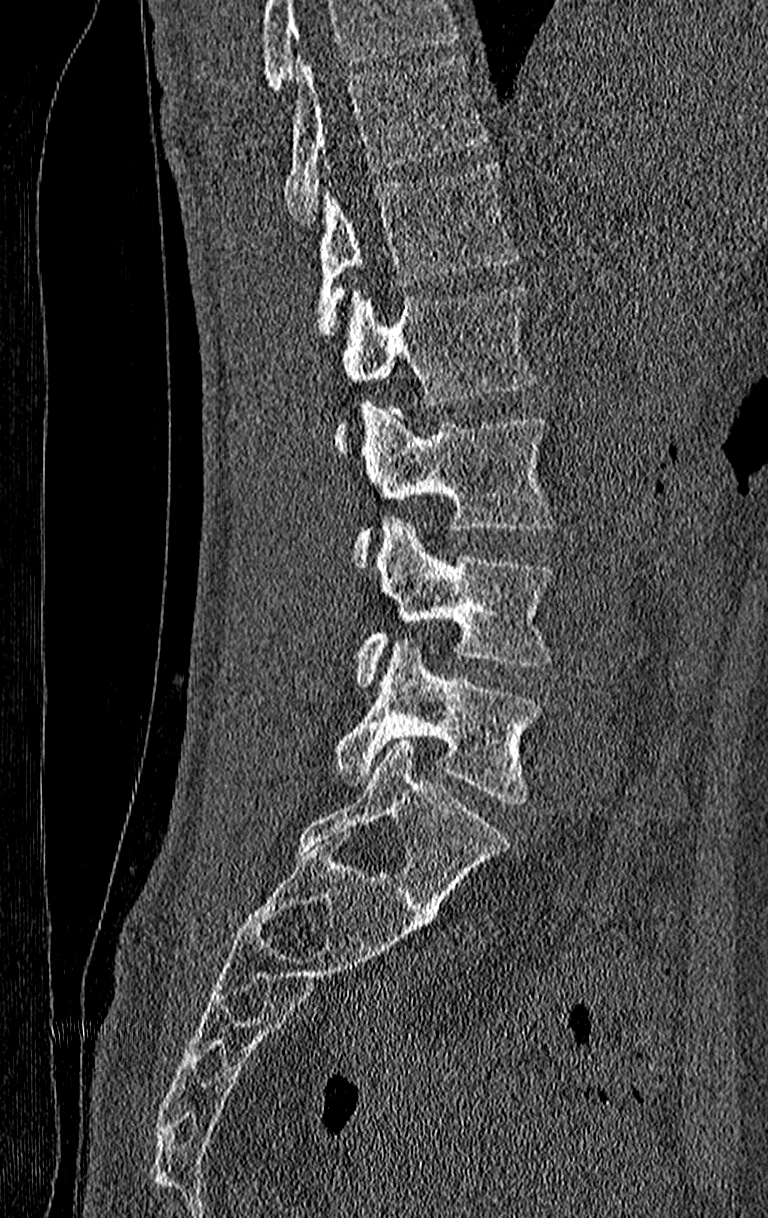
CT spine · sagittal view · bone window

Columns x1, y1, x2, y2 give each box's top-left and bottom-right pixels.
A vertebra cut off by the top edge of the scan is not labeled and has no box.
This scan's labels start at T11 at the top and end at L4 at the bottom.
| vertebra | x1 | y1 | x2 | y2 |
|---|---|---|---|---|
| T11 | 284 | 56 | 488 | 223 |
| T12 | 317 | 161 | 517 | 338 |
| L1 | 335 | 286 | 535 | 453 |
| L2 | 353 | 403 | 557 | 567 |
| L3 | 357 | 517 | 554 | 687 |
| L4 | 335 | 637 | 543 | 804 |